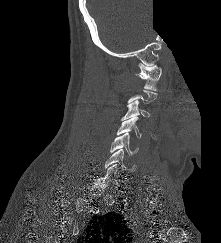

CT, spine. sagittal view. 221x243 px. some of the image was removed or blocked out with constant pixels

Bounding boxes as [x1, y1, x2, y2] in pixel coordinates.
Not every vertebra on this slice has a box: a vertebra is boxed only from the first to the last slice where its cross-section is at least a third of its largest, and this slice is outside that range for at least one of them.
Vertebra bounding boxes:
- C1: [135, 63, 161, 90]
- C3: [121, 99, 149, 120]
- C4: [116, 117, 141, 138]
- C5: [110, 132, 139, 155]
- C6: [104, 149, 136, 172]
- C7: [95, 164, 119, 184]